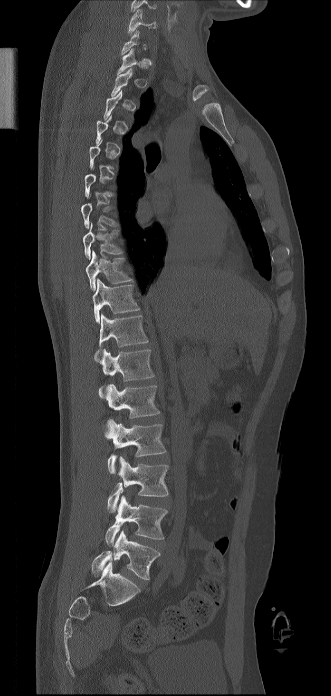
CT spine — sagittal reformat — W/L 1800/400 HU — 331x696 px. Each box given as x1,y1,x2,y2.
A vertebra gets a box only on the slices from the first to the last where its cross-section is at least a third of its largest; on a slice outside that range it gets none.
| vertebra | x1 | y1 | x2 | y2 |
|---|---|---|---|---|
| C6 | 128 | 9 | 155 | 34 |
| T7 | 81 | 203 | 117 | 229 |
| T8 | 83 | 222 | 123 | 259 |
| T9 | 85 | 250 | 133 | 291 |
| T10 | 92 | 279 | 139 | 323 |
| T11 | 94 | 314 | 148 | 361 |
| T12 | 99 | 349 | 154 | 399 |
| L1 | 106 | 384 | 160 | 418 |
| L2 | 104 | 419 | 166 | 473 |
| L3 | 107 | 456 | 168 | 512 |
| L4 | 105 | 496 | 167 | 545 |
| L5 | 92 | 529 | 160 | 580 |